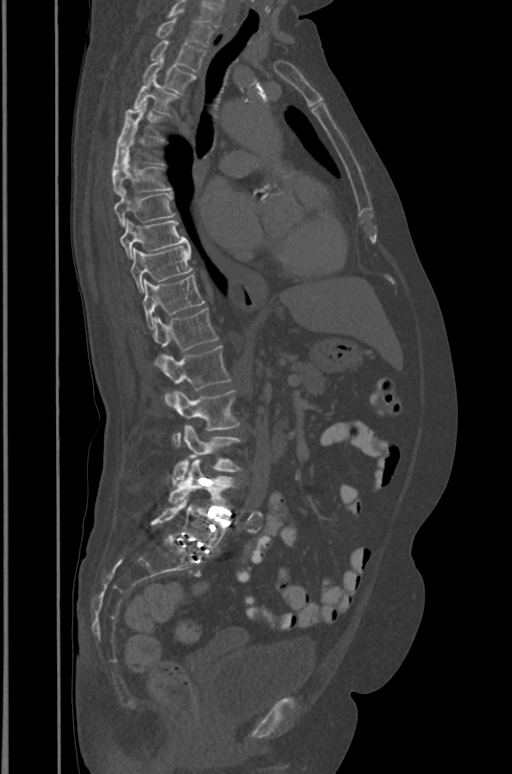
Computed tomography of the spine. sagittal view. 391 mm wide
Coordinates as <box>x1,y1,x2,y2</box>.
This scan's labels start at T1 at the top and end at L5 at the bottom.
Vertebra bounding boxes:
- T1: <box>154,19,212,47</box>
- T2: <box>149,40,206,71</box>
- T3: <box>141,59,195,94</box>
- T4: <box>134,77,178,113</box>
- T5: <box>118,102,163,143</box>
- T6: <box>113,130,163,169</box>
- T7: <box>113,155,171,195</box>
- T8: <box>114,190,174,227</box>
- T9: <box>120,219,189,258</box>
- T10: <box>131,244,193,294</box>
- T11: <box>143,275,205,328</box>
- T12: <box>154,307,218,367</box>
- L1: <box>162,345,231,406</box>
- L2: <box>173,390,240,447</box>
- L3: <box>173,426,241,484</box>
- L4: <box>169,459,236,506</box>
- L5: <box>151,494,227,553</box>